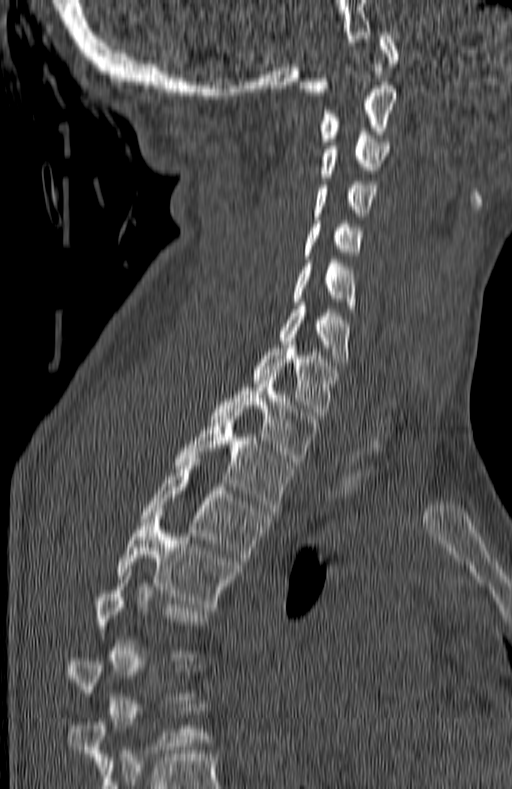 Spine CT; sagittal view; the image spans 180 mm across; 512x789 px

Coordinates as <box>x1,y1,x2,y2</box>. Each vertebra is boxed only on the slices from the first to the last where its cross-section reaches a third of its largest, so a slice outside that range leaves it unboxed. The labeled vertebrae in this slice are: T5 at <box>116,512,239,607</box>, T4 at <box>140,459,270,561</box>, T3 at <box>174,412,293,511</box>, T2 at <box>211,377,316,461</box>, T1 at <box>254,341,338,419</box>, C7 at <box>280,302,347,365</box>, C6 at <box>294,260,355,308</box>, C5 at <box>305,220,361,259</box>, C4 at <box>314,181,376,219</box>, C3 at <box>320,132,387,177</box>, C2 at <box>319,85,395,141</box>, C1 at <box>299,32,398,95</box>.